Spine CT; sagittal view
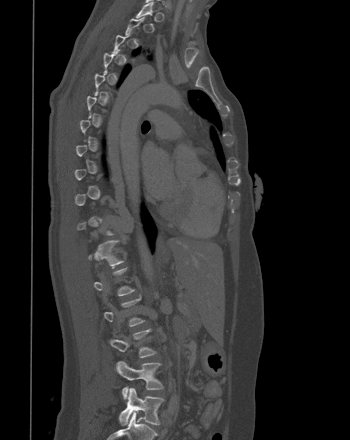
Bounding boxes as [x1, y1, x2, y2] in pixel coordinates. Not every vertebra on this slice has a box: a vertebra is boxed only from the first to the last slice where its cross-section is at least a third of its largest, and this slice is outside that range for at least one of them. The labeled vertebrae in this slice are: L5 at [119, 388, 164, 426], L4 at [115, 361, 163, 398], T12 at [88, 240, 123, 267].